Spine computed tomography · image 168 mm wide · sagittal plane, index 75
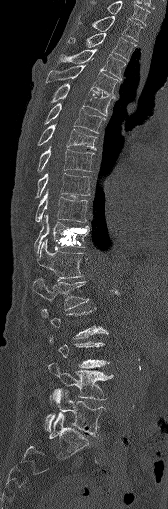

Coordinates as <box>x1,y1,x2,y2</box>. A vertebra is boxed only from the first to the last slice where its cross-section is at least a third of its largest; slices outside that range leave it without a box. The labeled vertebrae in this slice are: C7 at <box>89,1,150,24</box>, T1 at <box>79,16,142,41</box>, T2 at <box>68,33,135,59</box>, T3 at <box>60,49,125,78</box>, T4 at <box>46,66,118,96</box>, T5 at <box>44,83,113,116</box>, T6 at <box>43,103,105,133</box>, T7 at <box>37,124,96,149</box>, T8 at <box>37,147,93,171</box>, T9 at <box>35,173,90,197</box>, T10 at <box>35,192,87,222</box>, T11 at <box>34,216,90,253</box>, T12 at <box>37,239,83,278</box>, L1 at <box>32,277,89,309</box>, L4 at <box>49,363,113,400</box>, L5 at <box>44,389,105,436</box>.